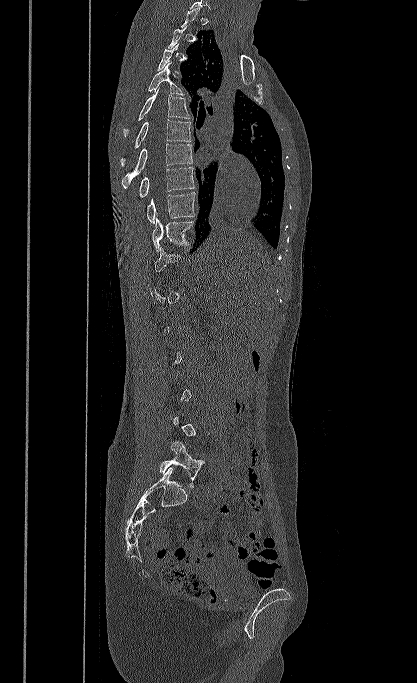

Spine computed tomography. sagittal view. 417x683 px
Each vertebra is boxed only on the slices from the first to the last where its cross-section reaches a third of its largest, so a slice outside that range leaves it unboxed.
<vertebrae><v name="T4" x1="148" y1="62" x2="184" y2="95"/><v name="T5" x1="123" y1="88" x2="190" y2="137"/><v name="T6" x1="121" y1="119" x2="191" y2="165"/><v name="T7" x1="121" y1="143" x2="192" y2="188"/><v name="T8" x1="139" y1="167" x2="195" y2="197"/><v name="T9" x1="147" y1="192" x2="196" y2="223"/><v name="T10" x1="152" y1="217" x2="195" y2="251"/><v name="L5" x1="159" y1="441" x2="204" y2="487"/></vertebrae>